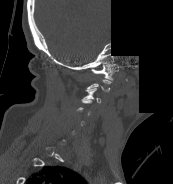

CT spine. 173 mm image width. sagittal view. part of the image is constant black where the scan was masked
Box edges are left/top/right/bottom in pixels.
Each vertebra is boxed only on the slices from the first to the last where its cross-section reaches a third of its largest, so a slice outside that range leaves it unboxed.
| vertebra | x1 | y1 | x2 | y2 |
|---|---|---|---|---|
| C1 | 91 | 63 | 118 | 80 |
| C3 | 82 | 87 | 100 | 102 |